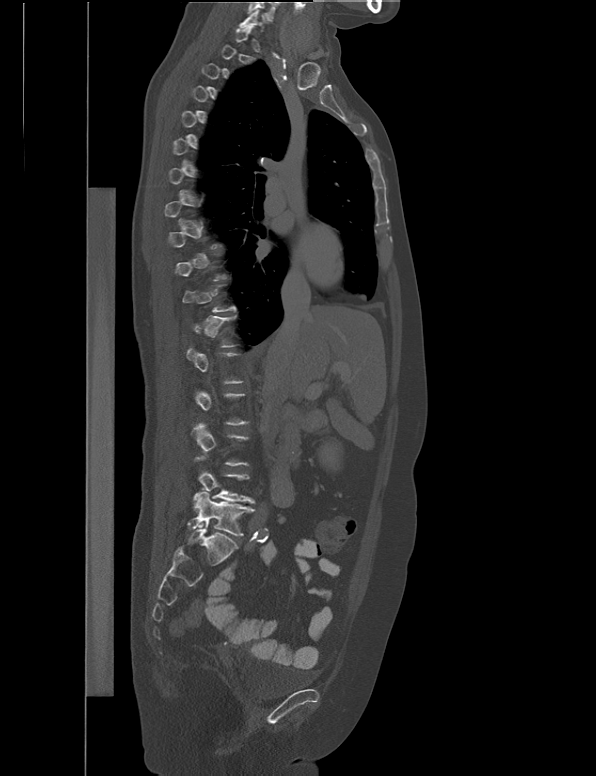 CT; sagittal reformat. Box edges are left/top/right/bottom in pixels.
Each vertebra is boxed only on the slices from the first to the last where its cross-section reaches a third of its largest, so a slice outside that range leaves it unboxed.
Vertebra bounding boxes:
- L5: left=187, top=492, right=255, bottom=535
- L4: left=193, top=456, right=255, bottom=503